CT; sagittal reformat; bone-window reconstruction; 336 mm across the image
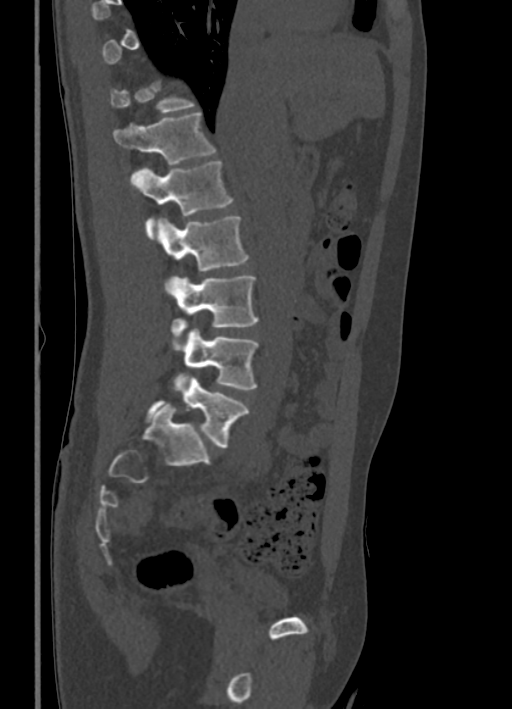

Bounding boxes as [x1, y1, x2, y2] in pixel coordinates. A vertebra is boxed only from the first to the last slice where its cross-section is at least a third of its largest; slices outside that range leave it without a box. Vertebrae labeled: L5 at [144, 372, 249, 447], L4 at [175, 328, 258, 389], L3 at [163, 276, 258, 340], L2 at [157, 216, 249, 271], L1 at [131, 160, 233, 238], T12 at [113, 112, 215, 164].